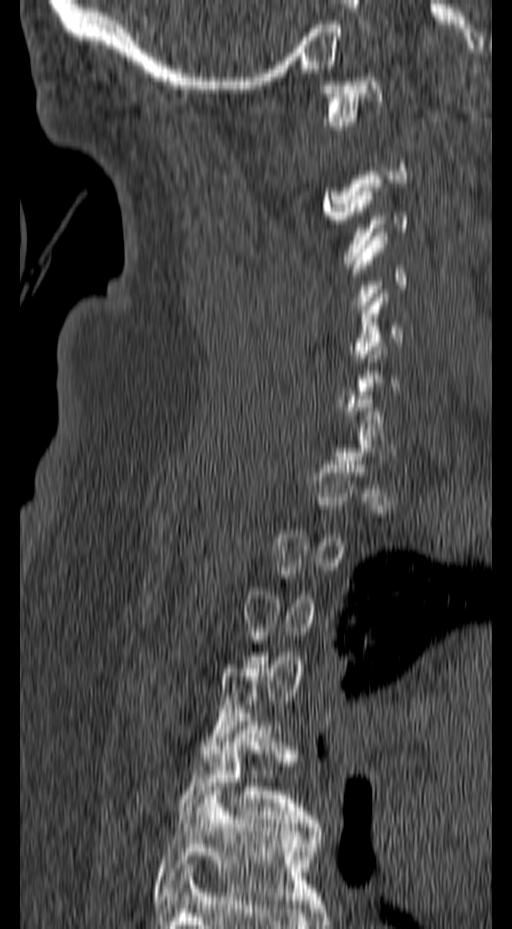
Computed tomography of the spine. sagittal reformat. the image is 157 mm wide. bone window
Each box is [x1, y1, x2, y2] in pixels: top-left corner, then bottom-right corner.
A vertebra gets a box only on the slices from the first to the last where its cross-section is at least a third of its largest; on a slice outside that range it gets none.
{"vertebrae":{"C1":[317,73,382,129],"C4":[349,232,408,309],"C5":[351,289,404,362],"T5":[177,713,320,827],"T6":[151,787,323,904]}}